CT, spine — sagittal view — image 445 mm wide
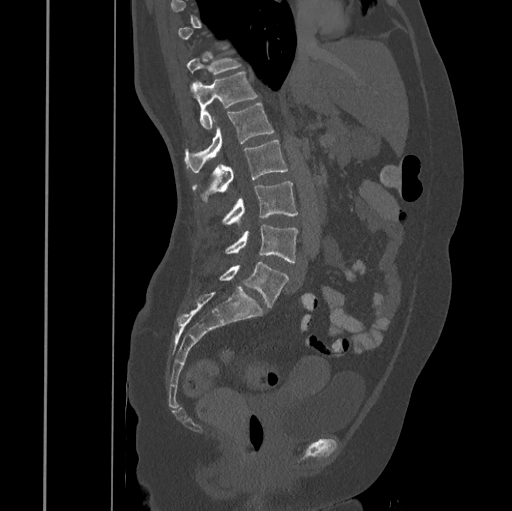 Boxes: x1:y1:x2:y2 in pixels. A vertebra gets a box only on the slices from the first to the last where its cross-section is at least a third of its largest; on a slice outside that range it gets none. 7 vertebrae labeled — T11 at 186:52:241:74; T12 at 190:72:257:129; L1 at 185:104:274:171; L2 at 192:140:288:202; L3 at 221:181:298:225; L4 at 224:226:298:262; L5 at 219:262:288:308.